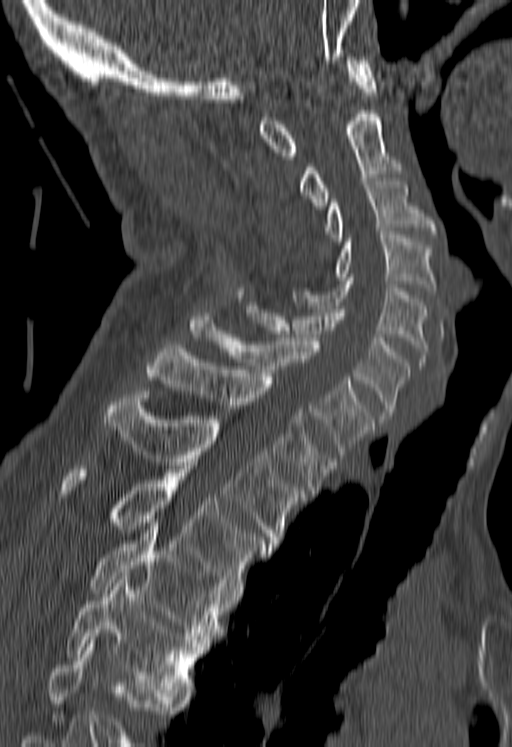

CT, spine · sagittal view · image 180 mm wide · bone-window reconstruction · 512x747 px. Box edges are left/top/right/bottom in pixels.
No box is given to a vertebra that the bottom edge of the scan cuts off.
Vertebra bounding boxes:
- T5: left=66, top=572, right=205, bottom=696
- T4: left=89, top=526, right=227, bottom=643
- T3: left=61, top=466, right=270, bottom=589
- T2: left=104, top=391, right=304, bottom=547
- T1: left=146, top=345, right=336, bottom=493
- C7: left=189, top=316, right=373, bottom=454
- C6: left=245, top=302, right=410, bottom=419
- C5: left=291, top=277, right=427, bottom=365
- C4: left=334, top=231, right=435, bottom=294
- C3: left=325, top=181, right=435, bottom=241
- C2: left=300, top=110, right=404, bottom=209
- C1: left=259, top=57, right=377, bottom=159